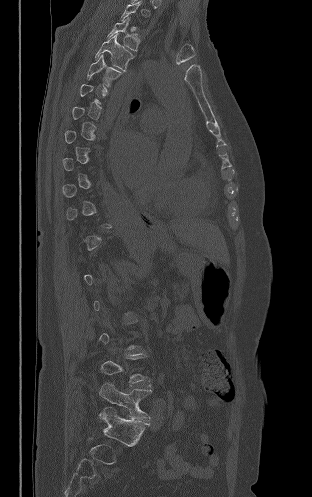 CT, spine. sagittal view
Boxes: x1:y1:x2:y2 in pixels.
A vertebra is boxed only from the first to the last slice where its cross-section is at least a third of its largest; slices outside that range leave it without a box.
T3: 107:17:139:51
T4: 95:33:133:70
T5: 87:55:121:87
L5: 99:383:151:420